CT. sagittal view. bone window. 778x725 px
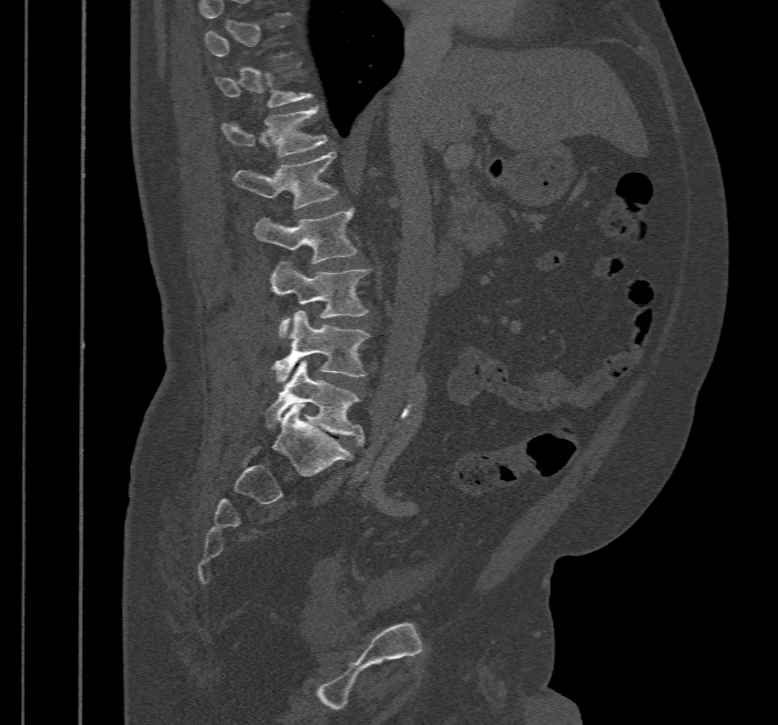

Each box given as x1,y1,x2,y2.
A vertebra gets a box only on the slices from the first to the last where its cross-section is at least a third of its largest; on a slice outside that range it gets none.
T12: x1=222, y1=105, x2=327, y2=156
L1: x1=233, y1=152, x2=338, y2=209
L2: x1=255, y1=209, x2=358, y2=263
L3: x1=271, y1=262, x2=368, y2=338
L4: x1=271, y1=310, x2=368, y2=383
L5: x1=265, y1=360, x2=364, y2=445